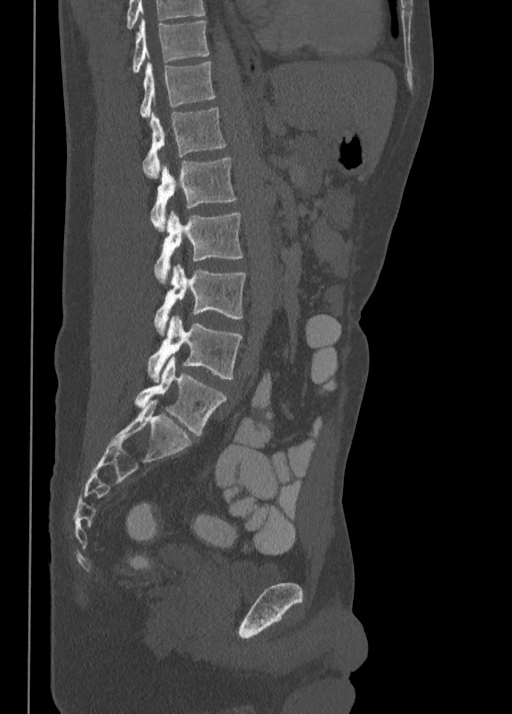

Computed tomography of the spine · sagittal view · Bone window (WL 400, WW 1800) · the image spans 350 mm across · 512x714 px

Boxes are given in columns x1, y1, x2, y2, the pixel coordinates of their top-left and bottom-right corners.
This scan's labels start at T10 at the top and end at L5 at the bottom.
| vertebra | x1 | y1 | x2 | y2 |
|---|---|---|---|---|
| L5 | 134 | 355 | 227 | 435 |
| L4 | 148 | 316 | 242 | 382 |
| L3 | 155 | 265 | 246 | 333 |
| L2 | 155 | 211 | 243 | 282 |
| L1 | 150 | 158 | 236 | 231 |
| T12 | 143 | 107 | 226 | 178 |
| T11 | 140 | 61 | 215 | 116 |
| T10 | 131 | 17 | 209 | 71 |